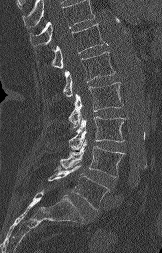 Spine CT; sagittal view; image width 162 mm

Bounding boxes as [x1, y1, x2, y2] in pixel coordinates. A vertebra cut off by the top edge of the scan is not labeled and has no box. Vertebrae labeled: T12 at [52, 23, 107, 68], L1 at [63, 51, 115, 97], L2 at [68, 82, 123, 127], L3 at [68, 116, 125, 149], L4 at [60, 139, 124, 177], L5 at [48, 165, 108, 210].